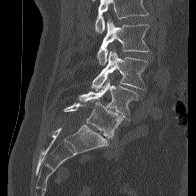 CT, spine · sagittal view · W/L 1800/400 HU
Box edges are left/top/right/bottom in pixels.
Vertebrae that run past the top of the scan are left unlabeled.
Vertebra bounding boxes:
- L2: left=97, top=19, right=149, bottom=65
- L3: left=92, top=48, right=148, bottom=91
- L4: left=78, top=78, right=138, bottom=120
- L5: left=64, top=101, right=122, bottom=137